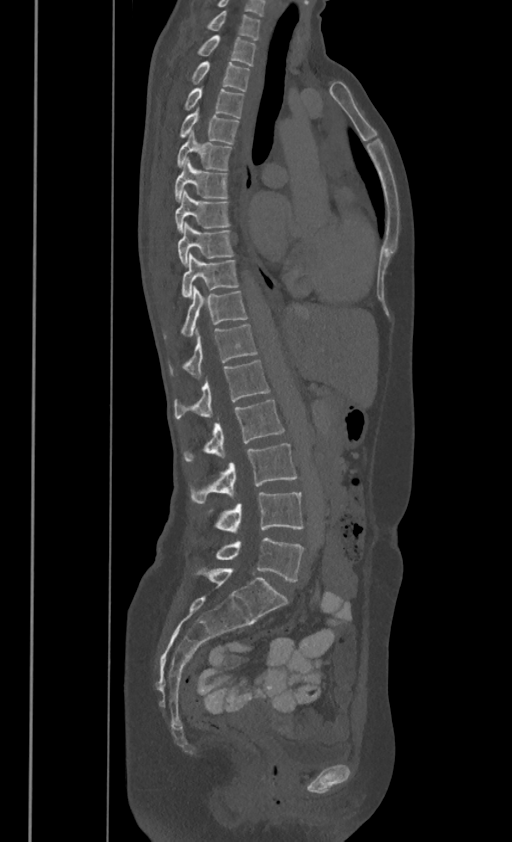
Computed tomography of the spine. sagittal view. bone-window reconstruction
In these labels the spine has no T12: the thoracic vertebrae end at T11, and L1 comes next.
<vertebrae><v name="C7" x1="207" y1="8" x2="260" y2="38"/><v name="T1" x1="197" y1="35" x2="256" y2="63"/><v name="T2" x1="191" y1="61" x2="250" y2="90"/><v name="T3" x1="184" y1="87" x2="243" y2="117"/><v name="T4" x1="179" y1="109" x2="239" y2="142"/><v name="T5" x1="176" y1="131" x2="232" y2="169"/><v name="T6" x1="174" y1="158" x2="228" y2="201"/><v name="T7" x1="175" y1="191" x2="230" y2="231"/><v name="T8" x1="178" y1="221" x2="234" y2="264"/><v name="T9" x1="182" y1="253" x2="238" y2="296"/><v name="T10" x1="163" y1="287" x2="247" y2="337"/><v name="T11" x1="168" y1="324" x2="256" y2="376"/><v name="L1" x1="174" y1="359" x2="269" y2="418"/><v name="L2" x1="183" y1="399" x2="284" y2="461"/><v name="L3" x1="191" y1="444" x2="296" y2="504"/><v name="L4" x1="208" y1="493" x2="303" y2="531"/><v name="L5" x1="216" y1="538" x2="303" y2="582"/></vertebrae>